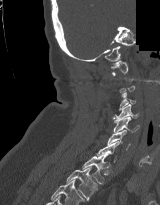

Spine computed tomography; sagittal view; W/L 1800/400 HU; some of the image was removed or blocked out with constant pixels
Not every vertebra on this slice has a box: a vertebra is boxed only from the first to the last slice where its cross-section is at least a third of its largest, and this slice is outside that range for at least one of them.
<vertebrae><v name="T2" x1="66" y1="166" x2="97" y2="200"/><v name="T1" x1="82" y1="154" x2="109" y2="184"/><v name="C7" x1="96" y1="141" x2="119" y2="162"/><v name="C6" x1="107" y1="130" x2="130" y2="150"/><v name="C5" x1="113" y1="117" x2="139" y2="133"/><v name="C4" x1="113" y1="104" x2="139" y2="120"/><v name="C3" x1="119" y1="92" x2="135" y2="111"/><v name="C1" x1="111" y1="60" x2="128" y2="75"/></vertebrae>